CT spine · Sagittal slice 264/512 · 512x483 px
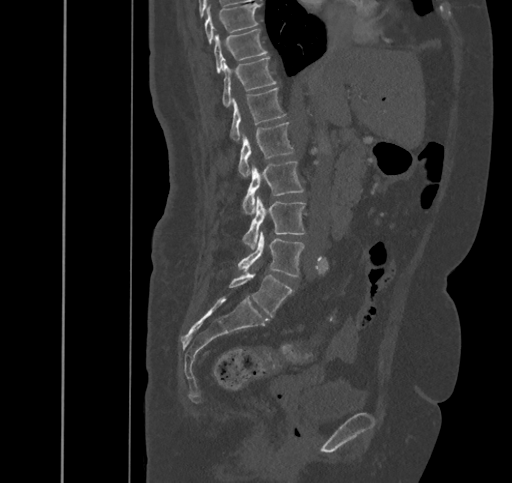 Each box is [x1, y1, x2, y2] in pixels: top-left corner, then bottom-right corner.
{"vertebrae":{"T9":[205,3,259,44],"T10":[214,28,266,74],"T11":[222,57,276,107],"T12":[230,87,285,141],"L1":[238,122,293,177],"L2":[242,161,304,213],"L3":[243,197,305,249],"L4":[237,232,305,277],"L5":[228,271,292,316]}}